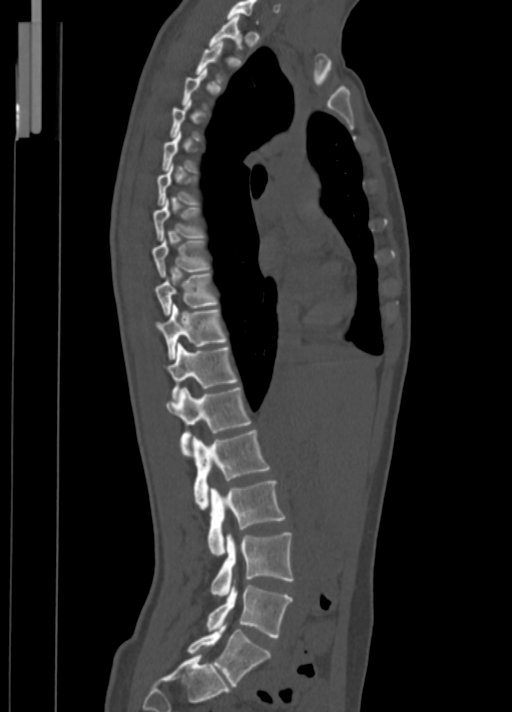
Computed tomography of the spine; sagittal view; bone window
Bounding boxes as [x1, y1, x2, y2] in pixel coordinates.
A vertebra is boxed only from the first to the last slice where its cross-section is at least a third of its largest; slices outside that range leave it without a box.
Vertebra bounding boxes:
- L5: [187, 623, 271, 685]
- L4: [206, 581, 291, 638]
- L3: [210, 532, 293, 596]
- L2: [207, 480, 285, 555]
- L1: [193, 430, 269, 508]
- T12: [167, 388, 250, 455]
- T11: [165, 344, 237, 398]
- T10: [155, 304, 227, 359]
- T9: [155, 274, 217, 315]
- T8: [152, 240, 208, 277]
- T7: [153, 199, 207, 239]
- T1: [209, 15, 242, 49]
- C7: [227, 0, 258, 22]